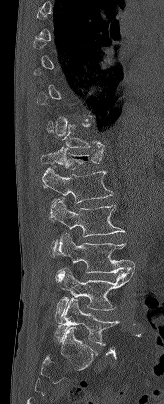
Spine computed tomography — sagittal view — 164 mm image width — bone-window reconstruction — 164x404 px
Each box given as x1,y1,x2,y2.
A vertebra is boxed only from the first to the last slice where its cross-section is at least a third of its largest; slices outside that range leave it without a box.
Vertebra bounding boxes:
- T11: x1=46, y1=121, x2=105, y2=148
- T12: x1=41, y1=147, x2=104, y2=169
- L1: x1=41, y1=168, x2=113, y2=222
- L2: x1=50, y1=199, x2=124, y2=256
- L3: x1=56, y1=234, x2=135, y2=281
- L4: x1=56, y1=268, x2=134, y2=316
- L5: x1=55, y1=299, x2=119, y2=345